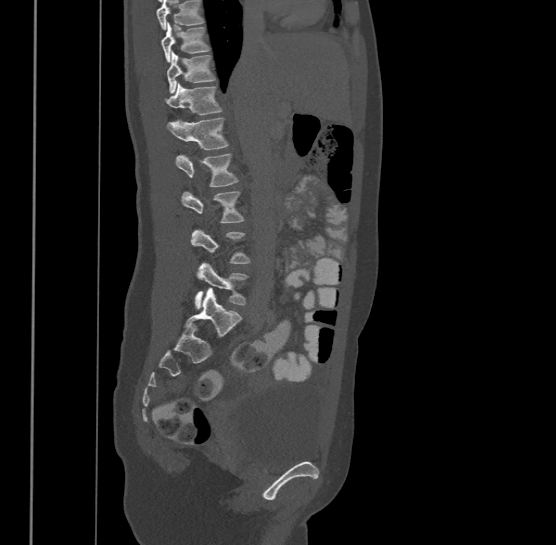
Computed tomography of the spine · sagittal view · Bone window (WL 400, WW 1800)

Not every vertebra on this slice has a box: a vertebra is boxed only from the first to the last slice where its cross-section is at least a third of its largest, and this slice is outside that range for at least one of them.
Vertebrae that run past the top of the scan are left unlabeled.
The highest labeled vertebra in this scan is T9; the lowest is L4.
<vertebrae><v name="L4" x1="193" y1="261" x2="246" y2="308"/><v name="L2" x1="181" y1="190" x2="243" y2="222"/><v name="L1" x1="176" y1="153" x2="238" y2="186"/><v name="T12" x1="166" y1="116" x2="228" y2="149"/><v name="T11" x1="166" y1="82" x2="221" y2="115"/><v name="T10" x1="167" y1="51" x2="215" y2="92"/><v name="T9" x1="161" y1="22" x2="210" y2="62"/></vertebrae>